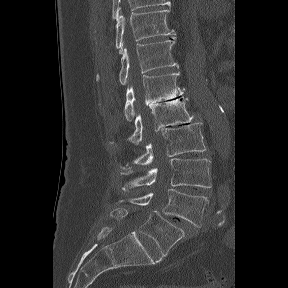
CT spine · 288 mm wide · sagittal view

Each box is [x1, y1, x2, y2] in pixels: top-left corner, then bottom-right corner.
Labels in this scan begin with T11 at the top and end with L6 at the bottom.
In these labels the spine has an L6, a sixth lumbar vertebra below L5.
{"vertebrae":{"L6":[110,208,184,255],"L5":[118,189,208,227],"L4":[120,158,211,190],"L3":[120,121,206,169],"L2":[111,97,193,144],"L1":[124,72,184,120],"T12":[96,37,179,84],"T11":[116,10,176,49]}}